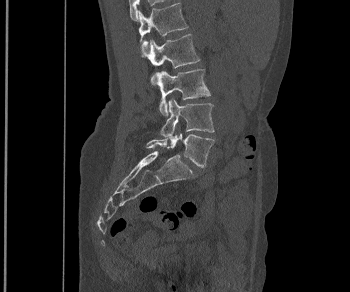

Spine CT · sagittal reformat · W/L 1800/400 HU · 350x292 px · 350 mm wide

Each row gives a vertebra's box as x1, y1, x2, y2 in pixels: top-left corner, then bottom-right corner.
| vertebra | x1 | y1 | x2 | y2 |
|---|---|---|---|---|
| L1 | 139 | 2 | 188 | 57 |
| L2 | 146 | 34 | 200 | 85 |
| L3 | 156 | 69 | 210 | 115 |
| L4 | 160 | 99 | 214 | 140 |
| L5 | 146 | 133 | 214 | 167 |